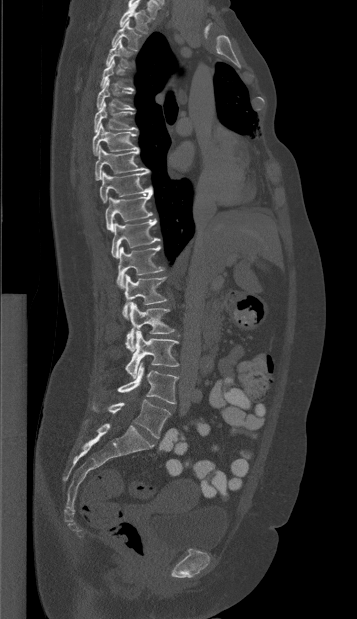

CT, spine — sagittal view — 357x619 px
Box edges are left/top/right/bottom in pixels.
Vertebra bounding boxes:
- T1: left=119, top=4, right=150, bottom=33
- T2: left=111, top=21, right=140, bottom=50
- T3: left=105, top=39, right=132, bottom=68
- T4: left=100, top=59, right=133, bottom=91
- T5: left=96, top=78, right=133, bottom=109
- T6: left=94, top=101, right=135, bottom=132
- T7: left=92, top=124, right=138, bottom=155
- T8: left=95, top=146, right=149, bottom=180
- T9: left=99, top=171, right=152, bottom=202
- T10: left=105, top=193, right=152, bottom=232
- T11: left=111, top=219, right=159, bottom=258
- T12: left=116, top=245, right=163, bottom=288
- L1: left=122, top=274, right=167, bottom=319
- L2: left=125, top=302, right=174, bottom=351
- L3: left=125, top=331, right=178, bottom=378
- L4: left=117, top=363, right=178, bottom=403
- L5: left=93, top=399, right=170, bottom=438